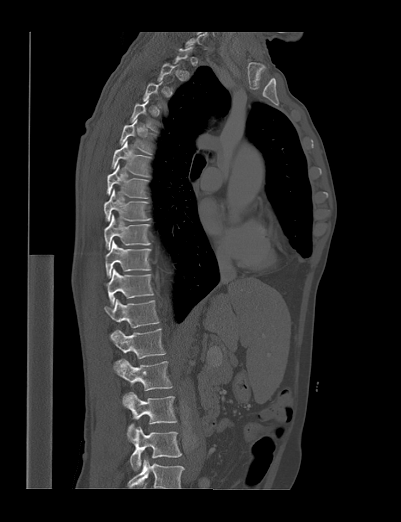 CT · sagittal view · 401x522 px
Each vertebra maps to its box as [x1, y1, x2, y2], the pixel coordinates of its top-left and bottom-right corners.
Not every vertebra on this slice has a box: a vertebra is boxed only from the first to the last slice where its cross-section is at least a third of its largest, and this slice is outside that range for at least one of them.
Labels in this scan begin with T1 at the top and end with L4 at the bottom.
{"vertebrae":{"L4":[130,427,181,470],"L3":[123,392,176,441],"L2":[114,359,172,405],"L1":[113,328,165,374],"T12":[104,299,160,339],"T11":[107,269,153,307],"T10":[105,240,151,278],"T9":[104,214,150,250],"T8":[104,189,149,221],"T7":[106,164,149,198],"T6":[111,141,151,177],"T5":[119,118,152,154]}}